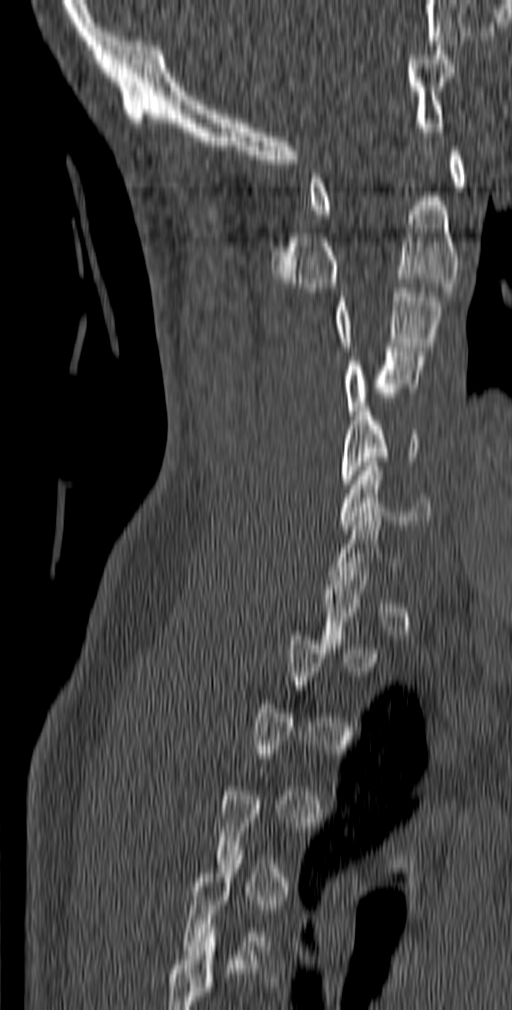

Computed tomography of the spine. sagittal reformat. bone-window reconstruction
Box edges are left/top/right/bottom in pixels. Each vertebra is boxed only on the slices from the first to the last where its cross-section reaches a third of its largest, so a slice outside that range leaves it unboxed. Vertebrae labeled: C6 at left=338, top=462, right=431, bottom=529, C5 at left=341, top=407, right=418, bottom=488, C4 at left=345, top=347, right=425, bottom=420, C3 at left=334, top=283, right=443, bottom=351, C2 at left=271, top=197, right=459, bottom=292, C1 at left=309, top=146, right=466, bottom=214.